CT spine. the image spans 350 mm across. Sagittal slice 82/164. W/L 1800/400 HU. part of the image is a flat gray fill, not anatomy
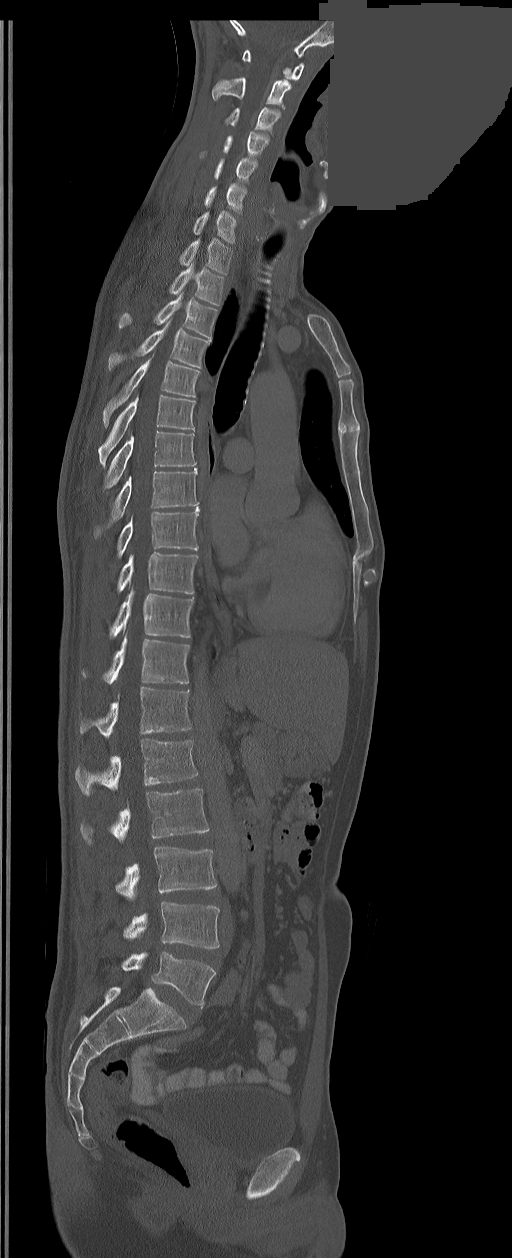 Boxes: x1:y1:x2:y2 in pixels.
The labels name a sixth lumbar vertebra for this spine: L6, after L5.
C1: 242:49:304:80
C2: 212:78:291:107
C3: 226:107:280:131
C4: 201:132:268:156
C5: 214:158:257:181
C6: 204:183:245:213
C7: 193:211:236:244
T1: 179:239:232:274
T2: 170:265:223:305
T3: 119:294:217:339
T4: 108:318:208:369
T5: 103:353:200:427
T6: 98:395:195:467
T7: 104:430:195:488
T8: 94:468:198:538
T9: 117:506:200:558
T10: 117:552:198:593
T11: 108:588:194:638
T12: 82:635:189:684
L1: 79:686:191:738
L2: 75:739:197:795
L3: 81:789:208:843
L4: 116:847:216:899
L5: 123:901:219:949
L6: 122:953:216:1007